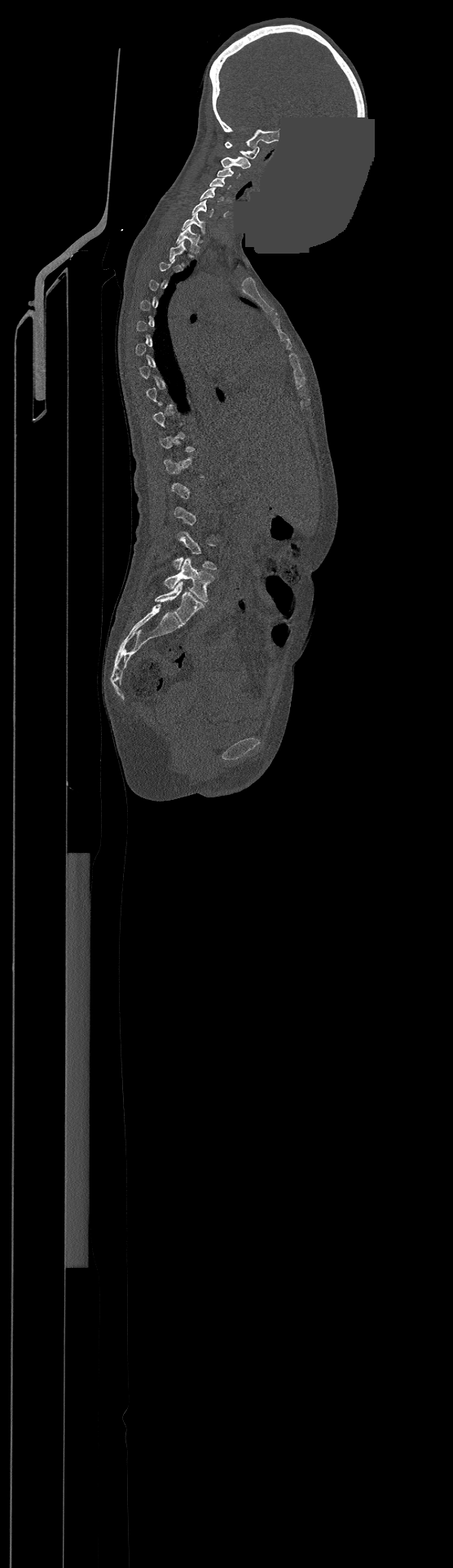

Spine CT; sagittal view; W/L 1800/400 HU; image width 500 mm; some of the image was removed or blocked out with constant pixels. Bounding boxes as [x1, y1, x2, y2] in pixel coordinates.
Each vertebra is boxed only on the slices from the first to the last where its cross-section reaches a third of its largest, so a slice outside that range leaves it unboxed.
The highest labeled vertebra in this scan is C1; the lowest is L4.
C1: [225, 142, 259, 158]
C2: [221, 157, 250, 168]
C3: [218, 168, 240, 178]
C4: [210, 177, 231, 189]
C5: [200, 188, 223, 202]
C6: [191, 200, 214, 217]
C7: [183, 211, 205, 232]
T1: [177, 225, 199, 253]
L3: [174, 532, 216, 570]
L4: [164, 558, 214, 602]